CT, spine. Sagittal slice 270/512. W/L 1800/400 HU. scan covers 17 annotated vertebrae. 434 mm wide
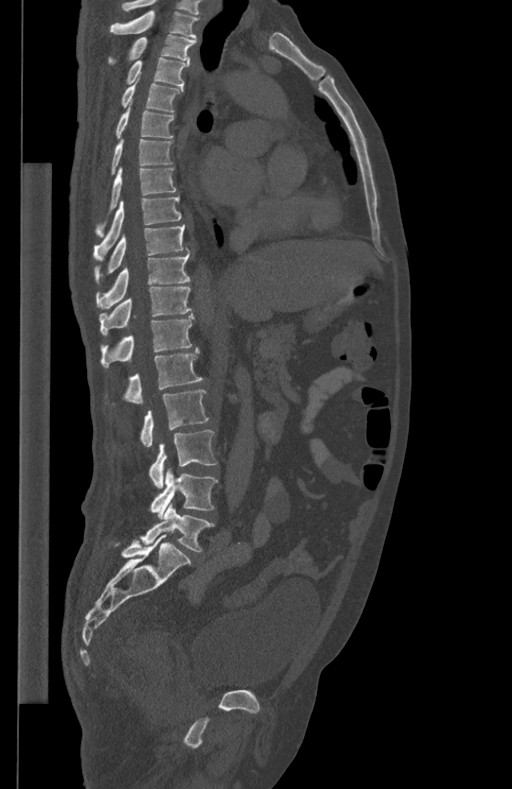

Box edges are left/top/right/bottom in pixels.
T1: left=110, top=11, right=198, bottom=37
T2: left=107, top=34, right=196, bottom=65
T3: left=125, top=57, right=189, bottom=86
T4: left=120, top=84, right=183, bottom=112
T5: left=116, top=107, right=174, bottom=139
T6: left=111, top=138, right=172, bottom=174
T7: left=95, top=167, right=176, bottom=237
T8: left=94, top=195, right=181, bottom=259
T9: left=94, top=225, right=188, bottom=282
T10: left=95, top=252, right=190, bottom=309
T11: left=99, top=287, right=191, bottom=335
T12: left=100, top=313, right=195, bottom=366
L1: left=124, top=348, right=203, bottom=404
L2: left=140, top=390, right=209, bottom=447
L3: left=149, top=430, right=217, bottom=488
L4: left=150, top=468, right=217, bottom=518
L5: left=140, top=503, right=214, bottom=552